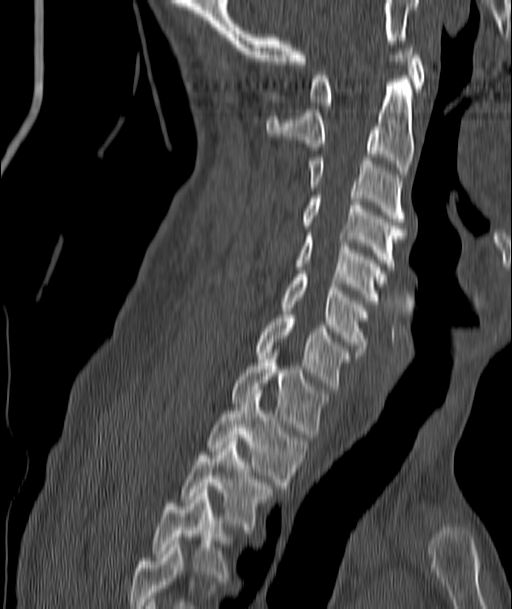 Spine computed tomography; sagittal view; 512x609 px; 187 mm image width
Box edges are left/top/right/bottom in pixels.
Labels in this scan begin with C1 at the top and end with T4 at the bottom.
Vertebra bounding boxes:
- C1: left=310, top=44, right=424, bottom=109
- C2: left=266, top=79, right=413, bottom=174
- C3: left=308, top=157, right=405, bottom=221
- C4: left=302, top=195, right=405, bottom=269
- C5: left=297, top=233, right=386, bottom=300
- C6: left=283, top=274, right=367, bottom=355
- C7: left=255, top=315, right=348, bottom=389
- T1: left=231, top=356, right=326, bottom=437
- T2: left=209, top=394, right=307, bottom=488
- T3: left=182, top=438, right=268, bottom=529
- T4: left=154, top=493, right=228, bottom=577